Spine computed tomography; sagittal plane, index 447; bone-window reconstruction; 768x1012 px
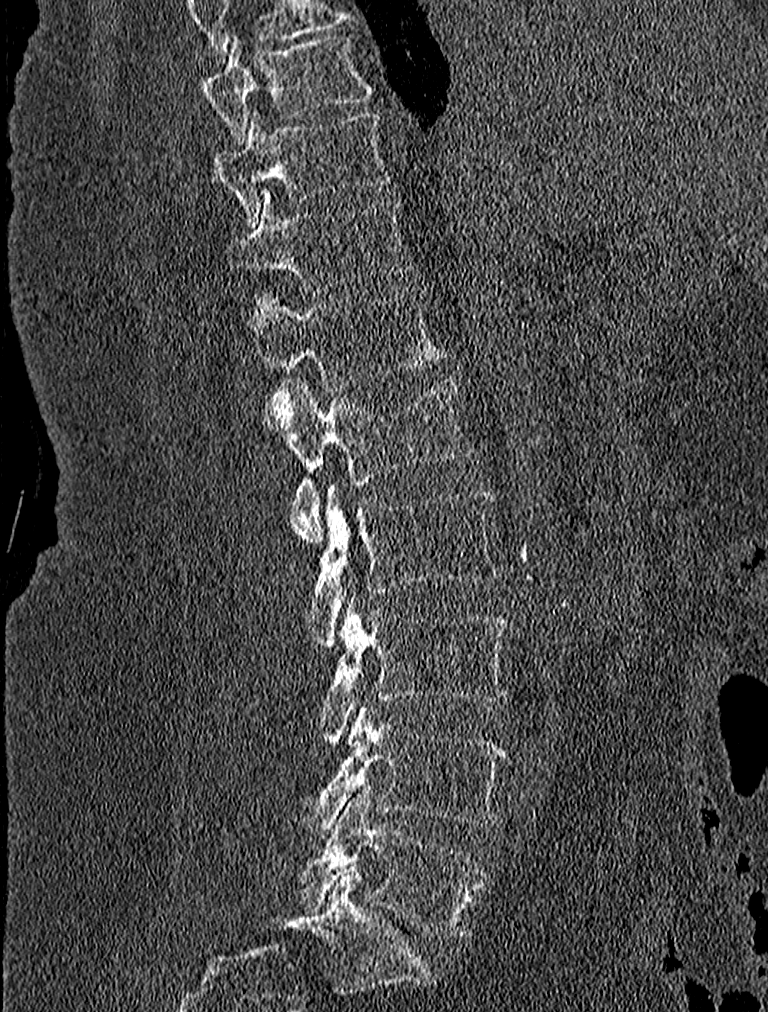

Box edges are left/top/right/bottom in pixels. The labeled vertebrae in this slice are: T9 at left=202, top=33, right=373, bottom=147, T10 at left=212, top=110, right=394, bottom=226, T11 at left=228, top=190, right=414, bottom=290, T12 at left=253, top=288, right=441, bottom=392, L1 at left=261, top=376, right=475, bottom=544, L2 at left=310, top=484, right=499, bottom=648, L3 at left=320, top=597, right=512, bottom=745, L4 at left=297, top=709, right=507, bottom=839, L5 at left=300, top=787, right=485, bottom=938.